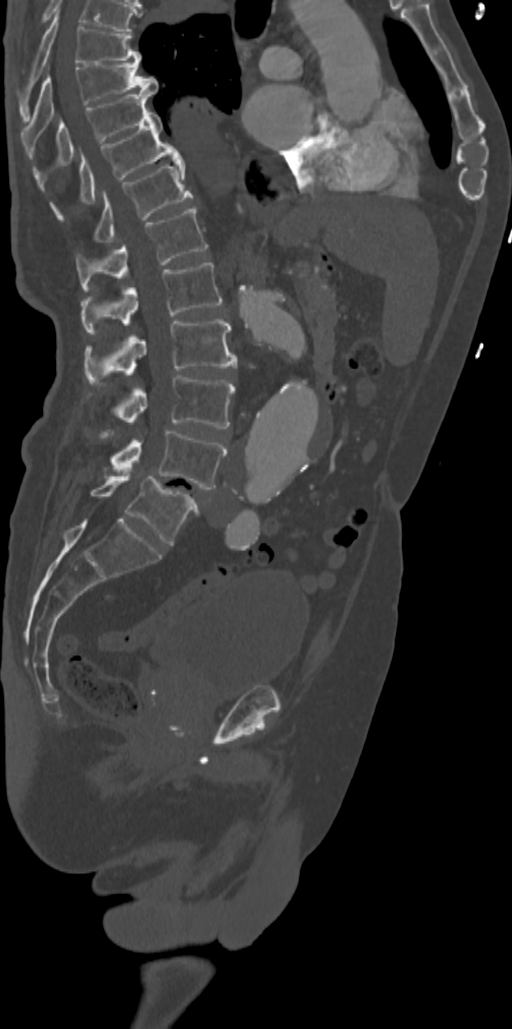 CT spine. sagittal reformat. W/L 1800/400 HU. 512x1029 px
Boxes are given in columns x1, y1, x2, y2, the pixel coordinates of their top-left and bottom-right corners.
| vertebra | x1 | y1 | x2 | y2 |
|---|---|---|---|---|
| T7 | 18 | 13 | 141 | 120 |
| T8 | 22 | 61 | 158 | 138 |
| T9 | 33 | 90 | 155 | 174 |
| T10 | 51 | 112 | 183 | 217 |
| T11 | 94 | 162 | 192 | 242 |
| T12 | 76 | 207 | 208 | 291 |
| L1 | 81 | 263 | 222 | 331 |
| L2 | 84 | 319 | 237 | 381 |
| L3 | 117 | 375 | 235 | 428 |
| L4 | 111 | 431 | 226 | 489 |
| L5 | 91 | 472 | 198 | 545 |